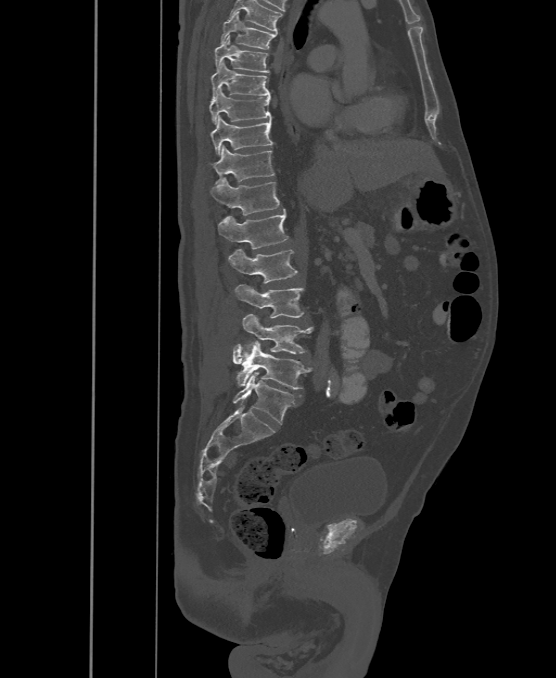

Computed tomography of the spine; sagittal view; 556x678 px
Boxes are (x1, y1, x2, y2) in pixels.
The labels name a sixth lumbar vertebra for this spine: L6, after L5.
T6: (221, 11, 276, 48)
T7: (215, 36, 269, 73)
T8: (212, 61, 270, 97)
T9: (208, 88, 271, 124)
T10: (212, 116, 272, 155)
T11: (214, 146, 275, 184)
T12: (211, 178, 280, 215)
L1: (218, 209, 288, 249)
L2: (229, 249, 297, 283)
L3: (235, 284, 304, 317)
L4: (242, 314, 313, 355)
L5: (233, 341, 310, 389)
L6: (232, 371, 294, 424)